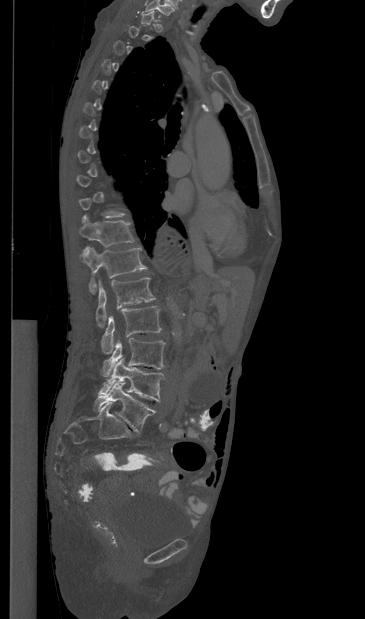
Spine computed tomography; sagittal view

Boxes: x1 y1 x2 y2 (pixel coords, space-separated).
Not every vertebra on this slice has a box: a vertebra is boxed only from the first to the last slice where its cross-section is at least a third of its largest, and this slice is outside that range for at least one of them.
Vertebra bounding boxes:
- T11: 79 215 134 251
- T12: 80 246 147 293
- L1: 96 277 155 327
- L2: 101 306 161 353
- L3: 102 338 165 376
- L4: 99 358 163 402
- L5: 93 383 155 432